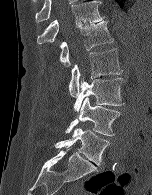 CT · sagittal reformat. Each box given as x1,y1,x2,y2.
T12: x1=37, y1=1, x2=104, y2=44
L1: x1=59, y1=21, x2=113, y2=66
L2: x1=69, y1=48, x2=122, y2=96
L3: x1=73, y1=77, x2=124, y2=112
L4: x1=65, y1=97, x2=120, y2=136
L5: x1=54, y1=128, x2=109, y2=165